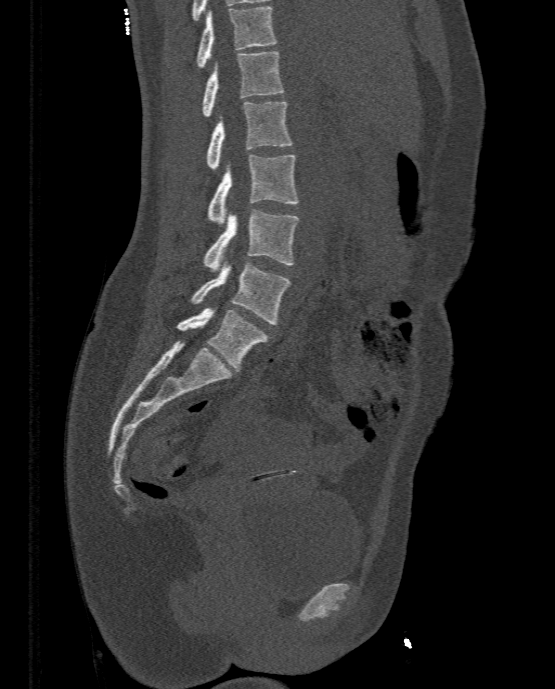 Computed tomography of the spine; sagittal view; bone window
Boxes: x1 y1 x2 y2 (pixel coords, space-separated).
T11: 196 6 276 67
T12: 202 51 284 116
L1: 206 101 292 169
L2: 207 154 298 223
L3: 203 210 298 271
L4: 190 262 291 324
L5: 177 306 269 372